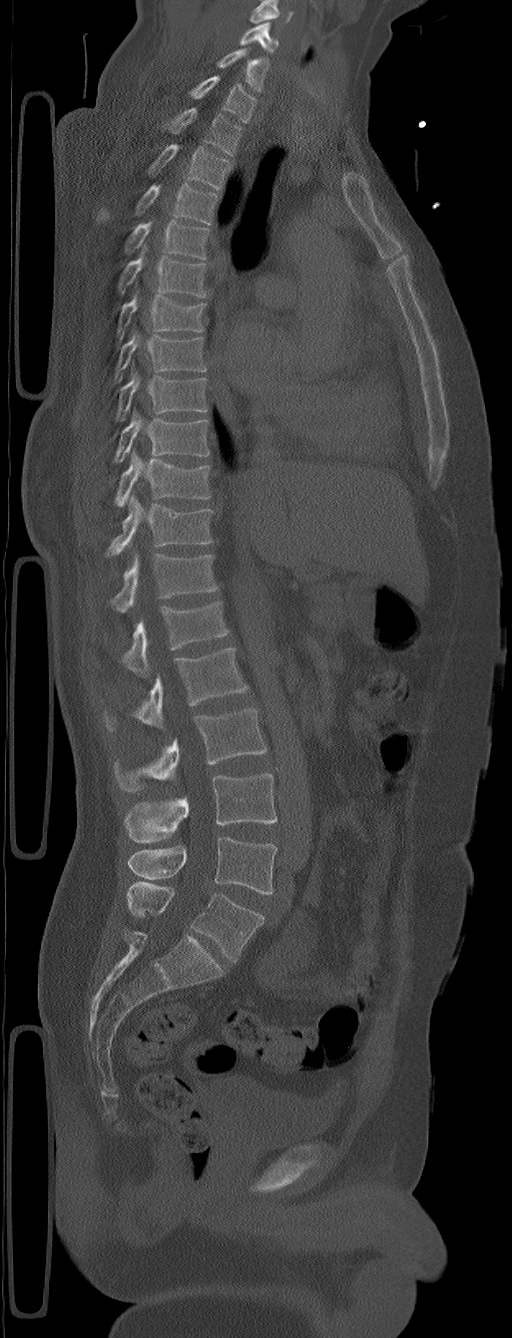
Spine CT; sagittal view; W/L 1800/400 HU; 305 mm image width. Bounding boxes as [x1, y1, x2, y2] in pixel coordinates.
Labels in this scan begin with C5 at the top and end with L6 at the bottom.
These labels give the spine a sixth lumbar vertebra, L6, below L5.
Vertebra bounding boxes:
- C5: [240, 22, 278, 53]
- C6: [217, 48, 270, 92]
- C7: [188, 76, 256, 122]
- T1: [163, 107, 243, 155]
- T2: [148, 144, 231, 189]
- T3: [98, 183, 218, 224]
- T4: [124, 220, 211, 260]
- T5: [118, 243, 207, 297]
- T6: [118, 294, 206, 337]
- T7: [114, 333, 206, 382]
- T8: [116, 360, 207, 421]
- T9: [113, 408, 209, 463]
- T10: [114, 450, 211, 506]
- T11: [106, 495, 213, 555]
- T12: [111, 554, 218, 612]
- L1: [121, 601, 229, 678]
- L2: [104, 648, 248, 731]
- L3: [114, 709, 266, 792]
- L4: [125, 773, 276, 842]
- L5: [128, 836, 276, 894]
- L6: [126, 882, 263, 961]